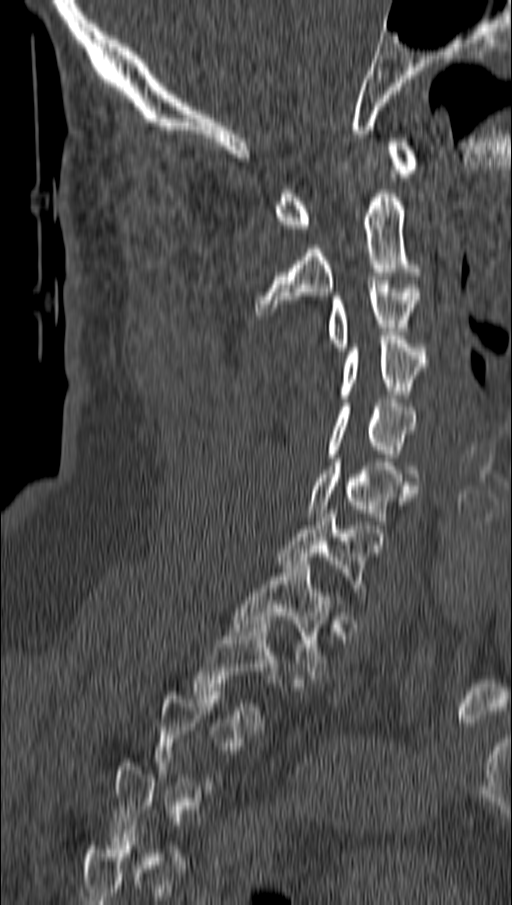 CT spine; sagittal view; bone-window reconstruction
Box values are [left, top, right, bottom] in pixels.
A vertebra gets a box only on the slices from the first to the last where its cross-section is at least a third of its largest; on a slice outside that range it gets none.
{"vertebrae":{"C1":[273,138,418,232],"C2":[254,190,424,315],"C3":[327,280,420,351],"C4":[339,336,427,398],"C5":[327,399,417,481],"C6":[308,458,417,524],"C7":[276,510,370,596],"T1":[232,561,332,675],"T2":[194,620,278,726]}}